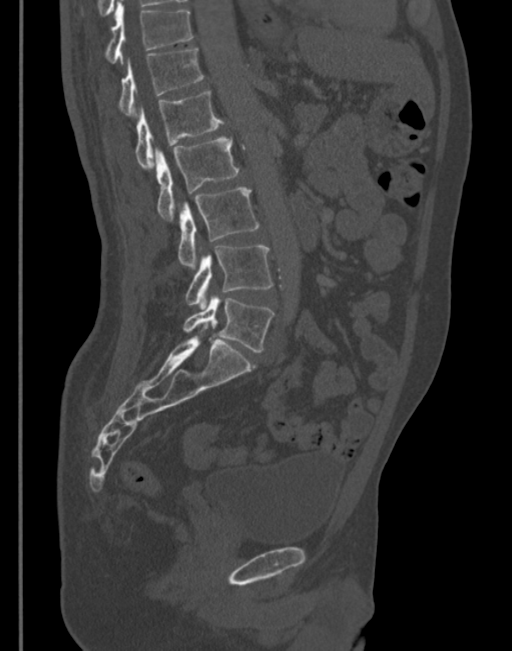
Computed tomography of the spine · sagittal view · Bone window (WL 400, WW 1800) · the image spans 345 mm across · 512x651 px

Boxes below are [x1, y1, x2, y2] in pixels.
{"vertebrae":{"T11":[105,5,193,63],"T12":[118,49,204,117],"L1":[135,91,223,169],"L2":[154,138,239,220],"L3":[178,188,258,269],"L4":[185,245,272,310],"L5":[182,294,273,352]}}